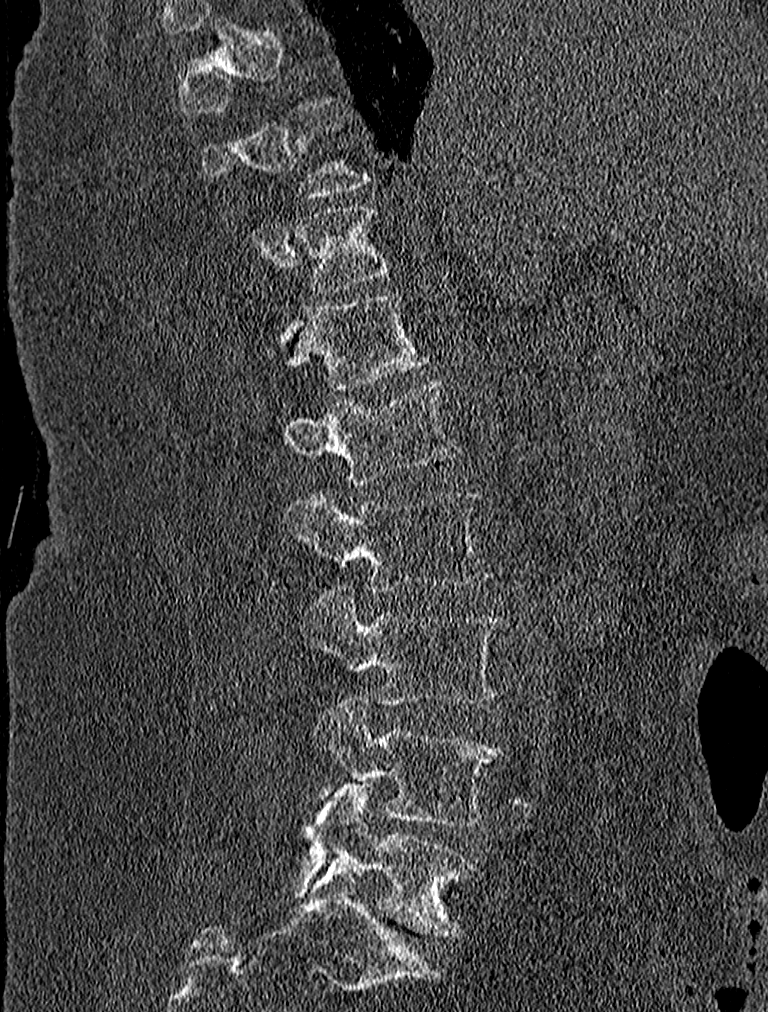

CT — image width 227 mm — sagittal view — 768x1012 px
Coordinates as <box>x1,y1,x2,y2</box>.
Each vertebra is boxed only on the slices from the first to the last where its cross-section reaches a third of its largest, so a slice outside that range leaves it unboxed.
L5: <box>293,784,475,935</box>
L4: <box>312,699,504,826</box>
L3: <box>302,588,502,704</box>
L2: <box>283,487,488,593</box>
L1: <box>283,379,461,483</box>
T12: <box>264,291,427,389</box>
T11: <box>295,207,390,293</box>